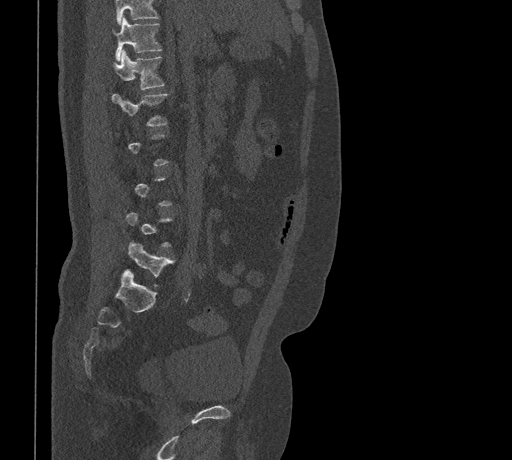 CT, spine · sagittal view · image 461 mm wide · bone-window reconstruction
A vertebra gets a box only on the slices from the first to the last where its cross-section is at least a third of its largest; on a slice outside that range it gets none.
Vertebrae that run past the top of the scan are left unlabeled.
<vertebrae><v name="L5" x1="128" y1="242" x2="173" y2="286"/><v name="L1" x1="112" y1="93" x2="168" y2="126"/><v name="T12" x1="113" y1="50" x2="164" y2="89"/><v name="T11" x1="114" y1="17" x2="162" y2="60"/></vertebrae>